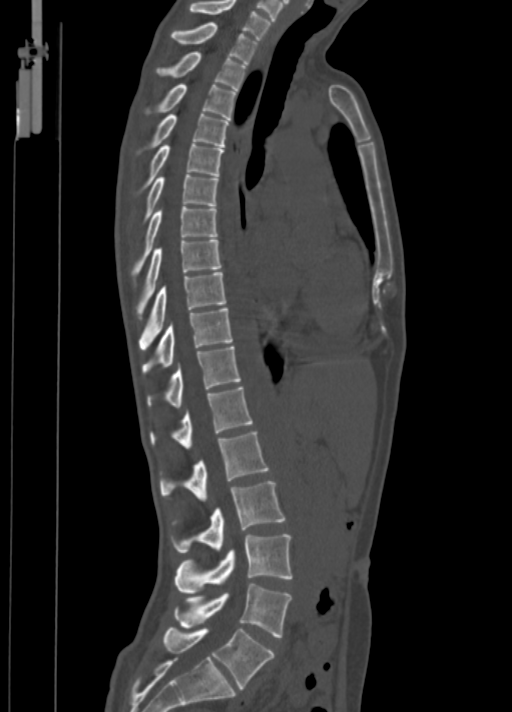

Spine CT. the image is 350 mm wide. sagittal view
Bounding boxes as [x1, y1, x2, y2] in pixel coordinates.
Vertebra bounding boxes:
- L5: [164, 628, 274, 689]
- L4: [174, 584, 291, 637]
- L3: [174, 534, 293, 593]
- L2: [171, 481, 285, 552]
- L1: [159, 432, 269, 501]
- T12: [150, 386, 252, 448]
- T11: [148, 347, 240, 407]
- T10: [142, 307, 233, 372]
- T9: [139, 272, 226, 349]
- T8: [137, 238, 221, 314]
- T7: [131, 206, 217, 275]
- T6: [143, 174, 218, 220]
- T5: [140, 143, 224, 191]
- T4: [139, 114, 228, 153]
- T3: [145, 83, 236, 119]
- T2: [156, 51, 246, 90]
- T1: [171, 22, 258, 63]
- C7: [188, 0, 271, 38]